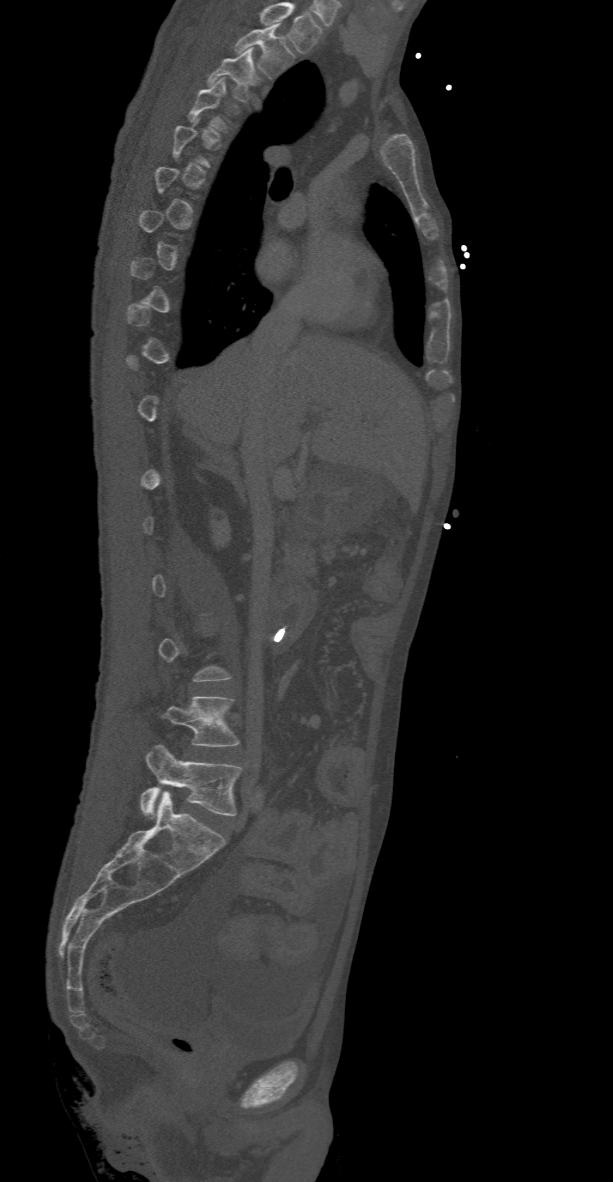 Spine computed tomography. sagittal view. 368 mm image width. Bone window (WL 400, WW 1800)
Boxes are (x1, y1, x2, y2) in pixels. Not every vertebra on this slice has a box: a vertebra is boxed only from the first to the last slice where its cross-section is at least a third of its largest, and this slice is outside that range for at least one of them. The highest labeled vertebra in this scan is T2; the lowest is L5. Vertebrae labeled: T2 at (235, 23, 292, 76), T3 at (208, 49, 261, 100), L4 at (165, 696, 239, 746), L5 at (140, 744, 242, 816).